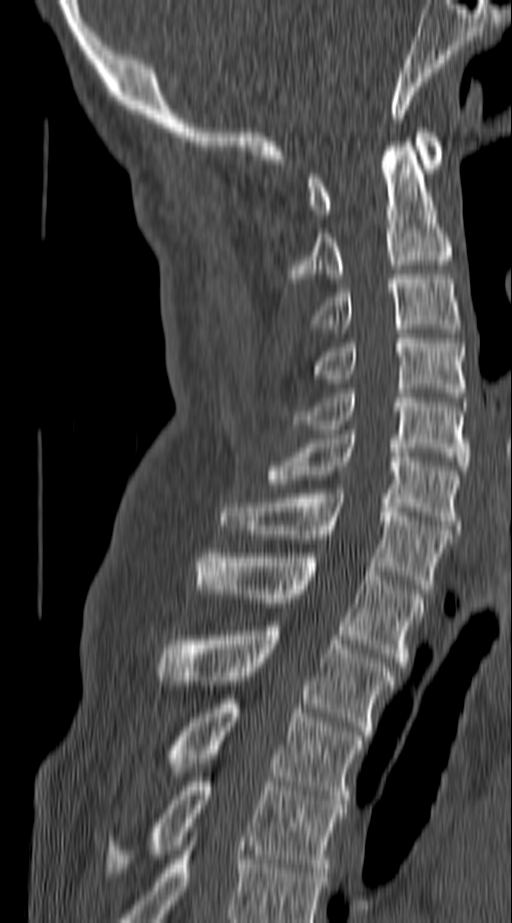
CT, spine — sagittal reformat

Boxes: x1:y1:x2:y2 in pixels.
In this scan, the topmost labeled vertebra is C1 and the lowest is T4.
Vertebra bounding boxes:
- C1: 309:128:439:218
- C2: 290:142:450:278
- C3: 312:274:461:328
- C4: 309:334:465:397
- C5: 294:389:468:470
- C6: 266:434:461:529
- C7: 221:489:450:593
- T1: 195:549:425:666
- T2: 155:626:395:735
- T3: 162:695:362:804
- T4: 104:777:344:877